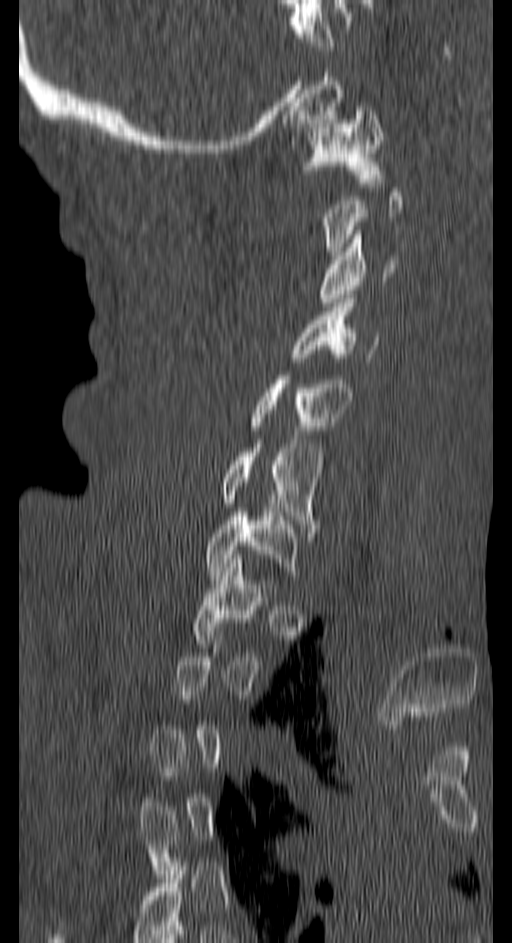
Spine CT · sagittal reformat · bone window

Box values are [left, top, right, bottom] in pixels.
Not every vertebra on this slice has a box: a vertebra is boxed only from the first to the last slice where its cross-section is at least a third of its largest, and this slice is outside that range for at least one of them.
{"vertebrae":{"C1":[304,107,383,182],"C3":[319,230,398,306],"C4":[293,303,376,366],"C5":[247,371,351,430],"C6":[220,439,321,532],"C7":[206,508,297,575]}}